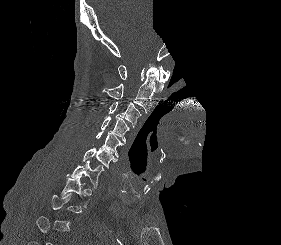
CT spine · 281 mm wide · sagittal view · W/L 1800/400 HU · part of the scan has been removed (filled with constant black). Coordinates as <box>x1,y1,x2,y2</box>.
Each vertebra is boxed only on the slices from the first to the last where its cross-section reaches a third of its largest, so a slice outside that range leaves it unboxed.
C1: <box>118,65,169,93</box>
C2: <box>102,66,158,113</box>
C3: <box>108,101,141,127</box>
C4: <box>101,115,129,143</box>
C5: <box>96,131,123,157</box>
C6: <box>83,147,117,169</box>
C7: <box>66,160,103,188</box>
T1: <box>60,175,87,208</box>